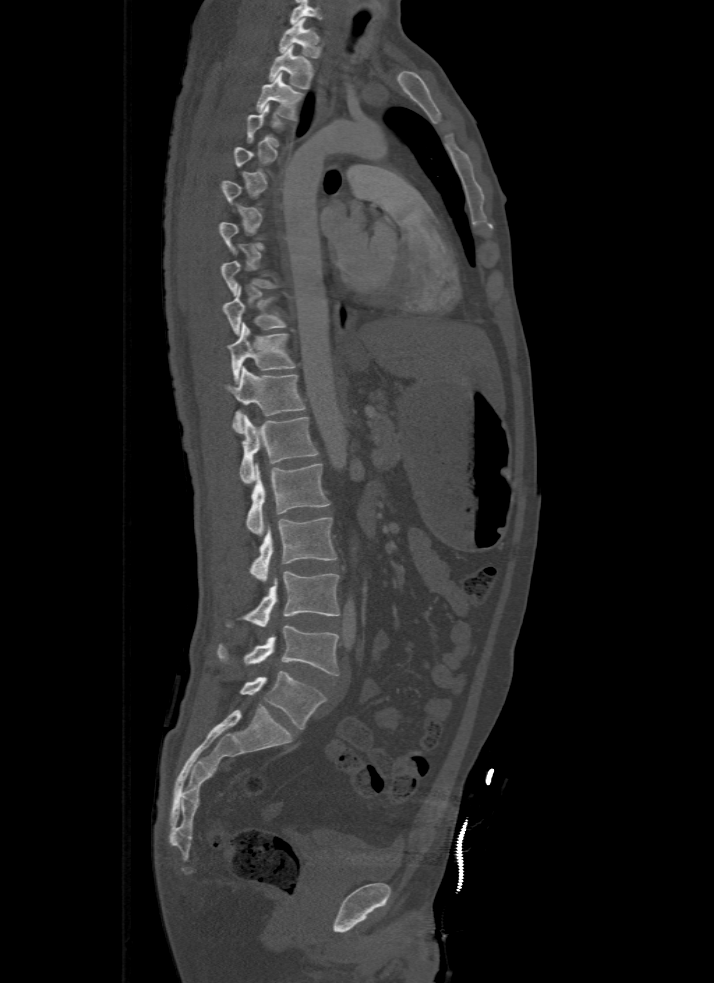
Spine computed tomography. sagittal view. bone-window reconstruction
Boxes: x1:y1:x2:y2 in pixels.
A vertebra is boxed only from the first to the last slice where its cross-section is at least a third of its largest; slices outside that range leave it without a box.
In this scan, the topmost labeled vertebra is T1 and the lowest is L5.
Vertebra bounding boxes:
- T1: 279:17:323:58
- T2: 268:46:314:89
- T3: 255:73:305:121
- T9: 223:285:286:335
- T10: 229:323:296:382
- T11: 225:366:306:433
- T12: 240:415:318:484
- L1: 246:463:330:536
- L2: 248:518:337:579
- L3: 225:572:339:628
- L4: 216:625:339:675
- L5: 240:670:325:729